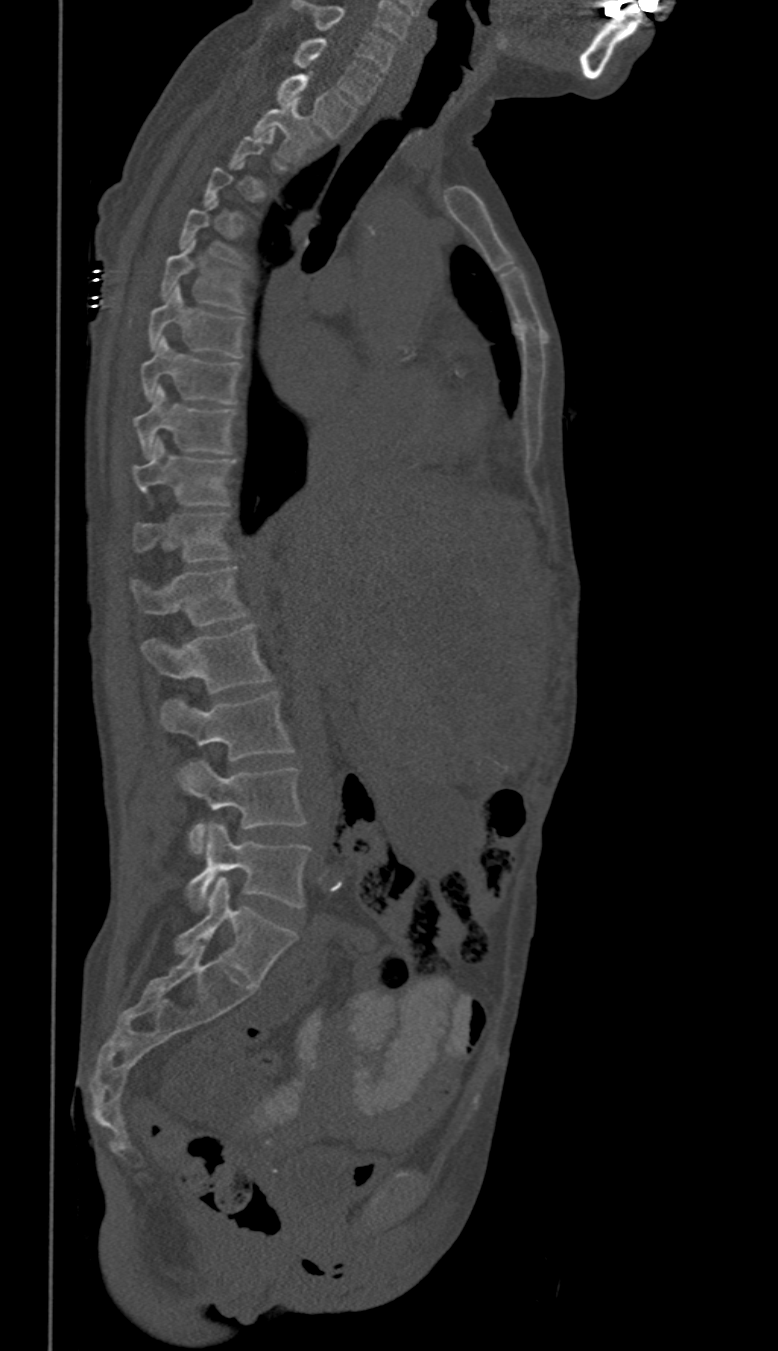

CT spine. image 350 mm wide. sagittal reformat. bone-window reconstruction
Columns x1, y1, x2, y2 give each box's top-left and bottom-right pixels.
Not every vertebra on this slice has a box: a vertebra is boxed only from the first to the last slice where its cross-section is at least a third of its largest, and this slice is outside that range for at least one of them.
These labels give this spine no T12: after T11 the next vertebra is L1.
| vertebra | x1 | y1 | x2 | y2 |
|---|---|---|---|---|
| L5 | 187 | 823 | 312 | 908 |
| L4 | 182 | 760 | 306 | 853 |
| L3 | 163 | 692 | 294 | 779 |
| L2 | 141 | 623 | 272 | 693 |
| L1 | 131 | 567 | 248 | 626 |
| T11 | 134 | 514 | 231 | 562 |
| T10 | 134 | 438 | 236 | 504 |
| T9 | 135 | 387 | 236 | 457 |
| T8 | 141 | 336 | 241 | 404 |
| T7 | 149 | 285 | 245 | 357 |
| T6 | 163 | 240 | 245 | 311 |
| T2 | 254 | 100 | 321 | 162 |
| T1 | 278 | 74 | 356 | 137 |
| C7 | 293 | 36 | 380 | 104 |
| C6 | 293 | 1 | 394 | 71 |